Spine CT; sagittal reformat; Bone window (WL 400, WW 1800); 512x943 px; the image is 150 mm wide
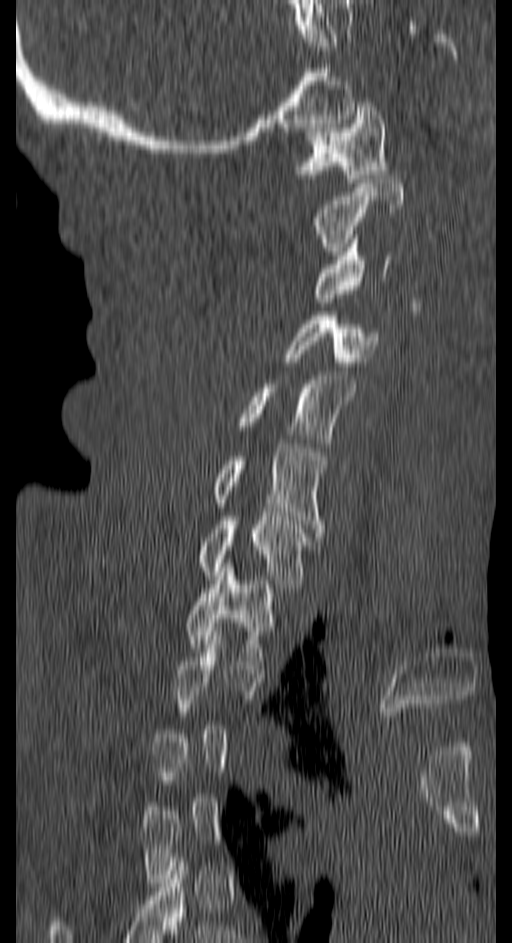 Each row gives a vertebra's box as x1, y1, x2, y2 in pixels: top-left corner, then bottom-right corner.
Not every vertebra on this slice has a box: a vertebra is boxed only from the first to the last slice where its cross-section is at least a third of its largest, and this slice is outside that range for at least one of them.
| vertebra | x1 | y1 | x2 | y2 |
|---|---|---|---|---|
| T1 | 186 | 563 | 275 | 660 |
| C7 | 199 | 516 | 307 | 592 |
| C6 | 213 | 444 | 324 | 537 |
| C5 | 240 | 375 | 356 | 438 |
| C4 | 282 | 311 | 379 | 366 |
| C3 | 315 | 235 | 393 | 302 |
| C2 | 315 | 175 | 403 | 255 |
| C1 | 298 | 102 | 388 | 182 |